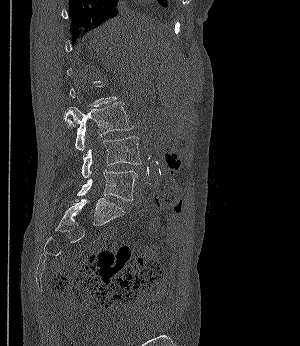 Spine CT · sagittal reformat · image 300 mm wide · bone-window reconstruction

Each vertebra maps to its box as [x1, y1, x2, y2], the pixel coordinates of its top-left and bottom-right corners.
Not every vertebra on this slice has a box: a vertebra is boxed only from the first to the last slice where its cross-section is at least a third of its largest, and this slice is outside that range for at least one of them.
{"vertebrae":{"L5":[76,169,138,200],"L4":[81,136,141,177],"L3":[64,102,132,150]}}